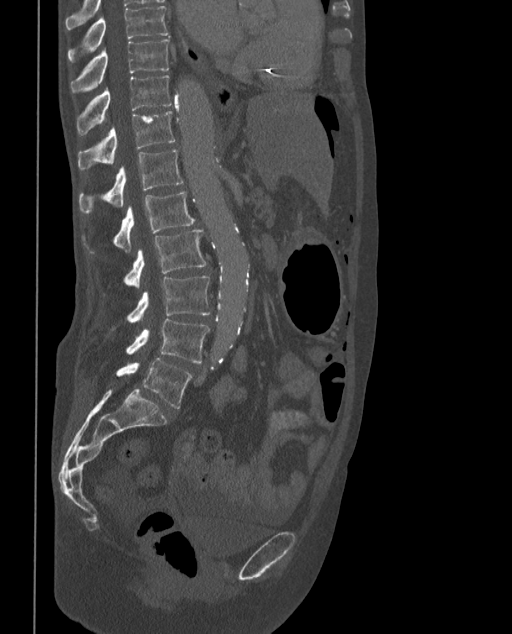 CT, spine. sagittal view. 512x634 px. Box edges are left/top/right/bottom in pixels.
In these labels the spine has an L6, a sixth lumbar vertebra below L5.
Vertebra bounding boxes:
- L6: left=116, top=358, right=192, bottom=408
- L5: left=125, top=319, right=209, bottom=362
- L4: left=110, top=275, right=210, bottom=331
- L3: left=103, top=229, right=206, bottom=295
- L2: left=82, top=191, right=195, bottom=253
- L1: left=78, top=149, right=183, bottom=213
- T12: left=78, top=111, right=176, bottom=171
- T11: left=77, top=75, right=172, bottom=135
- T10: left=70, top=40, right=169, bottom=93
- T9: left=67, top=5, right=169, bottom=62